Spine CT — sagittal reformat
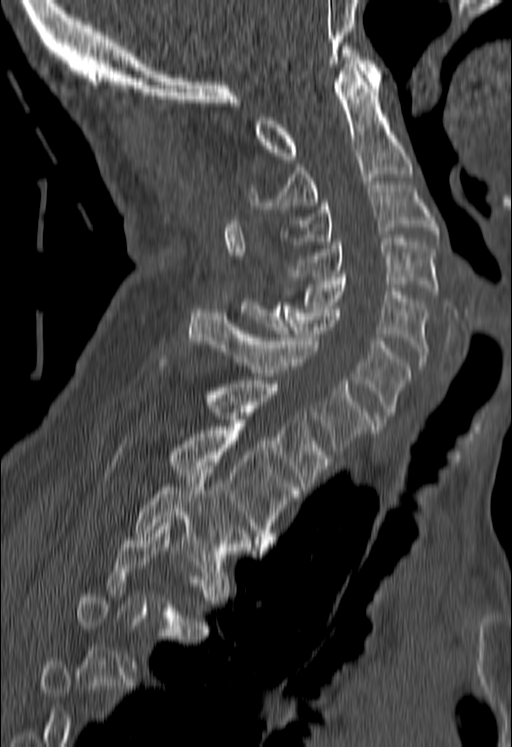

Boxes: x1:y1:x2:y2 in pixels. Not every vertebra on this slice has a box: a vertebra is boxed only from the first to the last slice where its cross-section is at least a third of its largest, and this slice is outside that range for at least one of them. Vertebrae labeled: C1 at 255:46:381:159, C2 at 248:64:412:209, C3 at 280:185:438:244, C4 at 289:238:438:294, C5 at 283:277:427:365, C6 at 241:302:410:422, C7 at 189:309:373:454, T1 at 159:359:330:490, T2 at 169:427:299:547, T3 at 135:466:253:568.